CT spine. Sagittal slice 192/512. scan covers 12 annotated vertebrae
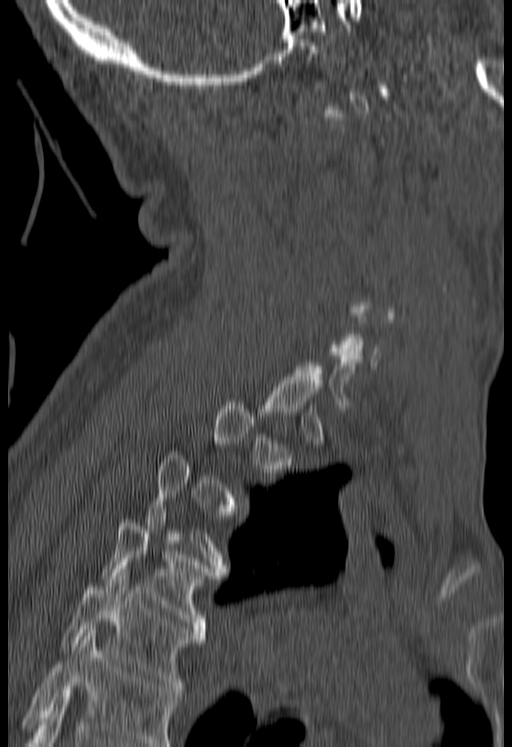

Box edges are left/top/right/bottom in pixels.
Each vertebra is boxed only on the slices from the first to the last where its cross-section reaches a third of its largest, so a slice outside that range leaves it unboxed.
Vertebrae that run past the bottom of the scan are left unlabeled.
| vertebra | x1 | y1 | x2 | y2 |
|---|---|---|---|---|
| T4 | 100 | 512 | 225 | 639 |
| T5 | 61 | 569 | 205 | 696 |